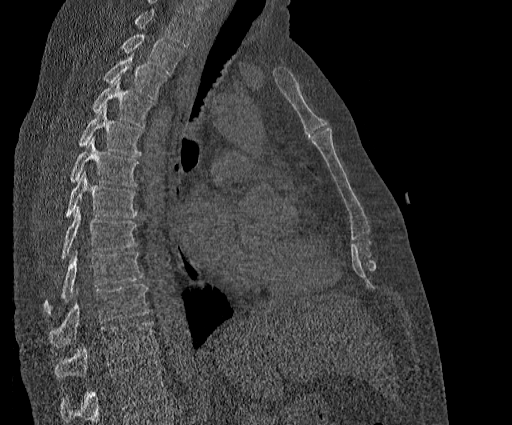

Spine CT — sagittal view — Bone window (WL 400, WW 1800)
Vertebrae that run past the top of the scan are left unlabeled.
The highest labeled vertebra in this scan is T2; the lowest is T11.
<vertebrae><v name="T2" x1="121" y1="35" x2="183" y2="74"/><v name="T3" x1="102" y1="53" x2="167" y2="99"/><v name="T4" x1="92" y1="76" x2="155" y2="127"/><v name="T5" x1="78" y1="105" x2="143" y2="156"/><v name="T6" x1="69" y1="136" x2="139" y2="186"/><v name="T7" x1="64" y1="171" x2="137" y2="218"/><v name="T8" x1="61" y1="208" x2="137" y2="260"/><v name="T9" x1="44" y1="251" x2="143" y2="314"/><v name="T10" x1="49" y1="284" x2="149" y2="347"/><v name="T11" x1="54" y1="321" x2="157" y2="378"/></vertebrae>